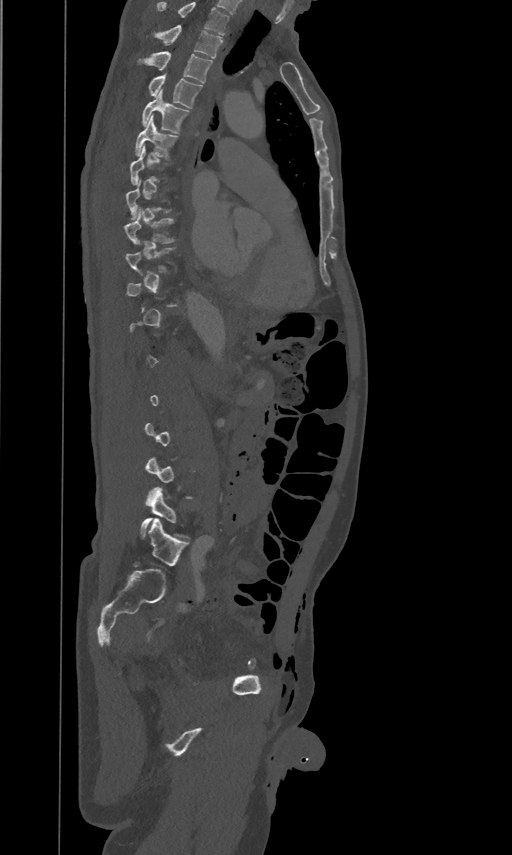 CT spine · sagittal reformat · Bone window (WL 400, WW 1800) · image width 461 mm
Boxes: x1 y1 x2 y2 (pixel coords, space-separated).
A vertebra is boxed only from the first to the last slice where its cross-section is at least a third of its largest; slices outside that range leave it without a box.
The highest labeled vertebra in this scan is T2; the lowest is L5.
Vertebra bounding boxes:
- T2: 155 24 223 58
- T3: 138 51 212 82
- T4: 148 73 202 108
- T5: 141 89 189 133
- T6: 135 114 178 158
- T9: 124 206 175 243
- L5: 141 487 188 539